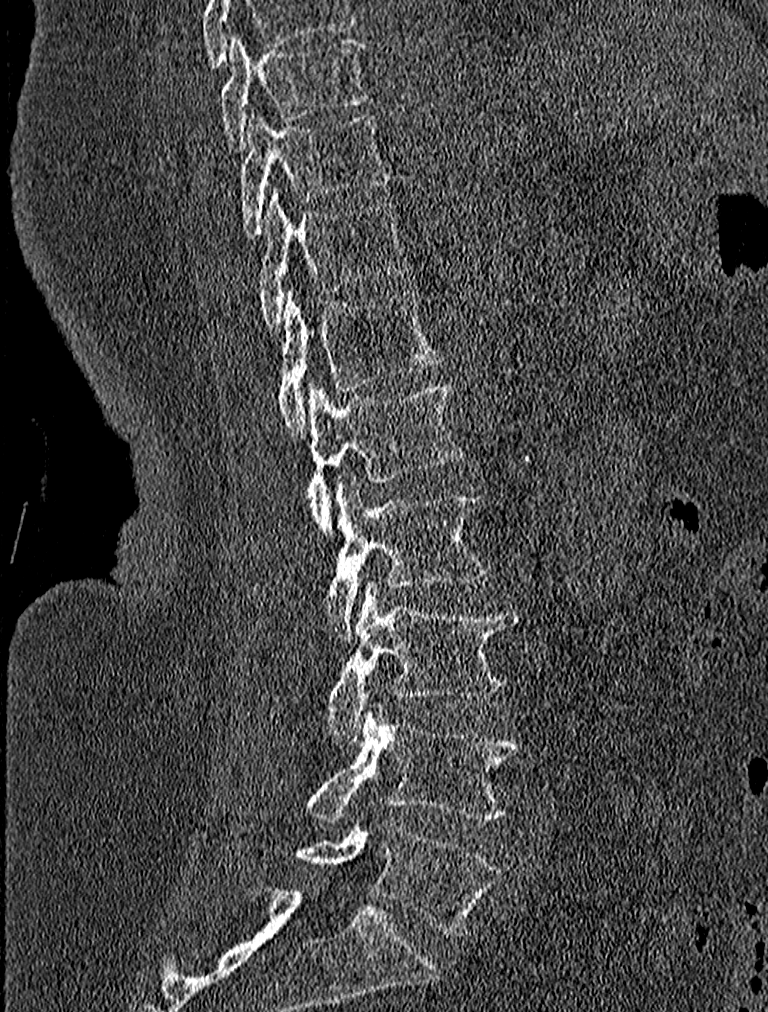

Computed tomography of the spine; sagittal reformat; W/L 1800/400 HU; 768x1012 px

Coordinates as <box>x1,y1,x2,y2</box>. 9 vertebrae labeled — T9 at <box>219,33,370,148</box>; T10 at <box>239,111,394,237</box>; T11 at <box>254,187,411,331</box>; T12 at <box>276,288,444,436</box>; L1 at <box>236,382,465,532</box>; L2 at <box>259,477,488,640</box>; L3 at <box>327,580,519,742</box>; L4 at <box>303,705,523,823</box>; L5 at <box>293,821,499,934</box>.